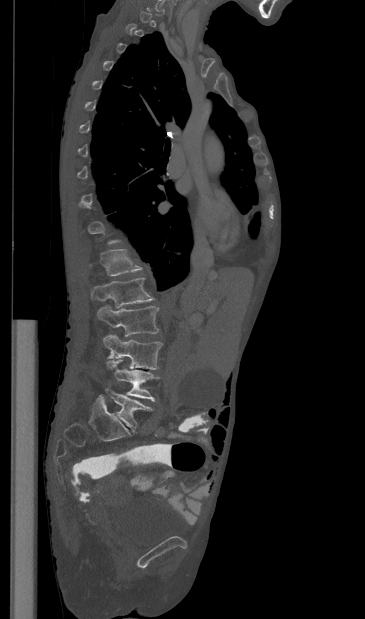
CT, spine · sagittal view · image 365 mm wide · bone window
Boxes: x1:y1:x2:y2 in pixels.
Not every vertebra on this slice has a box: a vertebra is boxed only from the first to the last slice where its cross-section is at least a third of its largest, and this slice is outside that range for at least one of them.
T12: 90:249:141:276
L1: 91:278:154:307
L2: 97:306:159:336
L3: 103:334:162:369
L4: 107:359:159:401
L5: 99:389:152:431